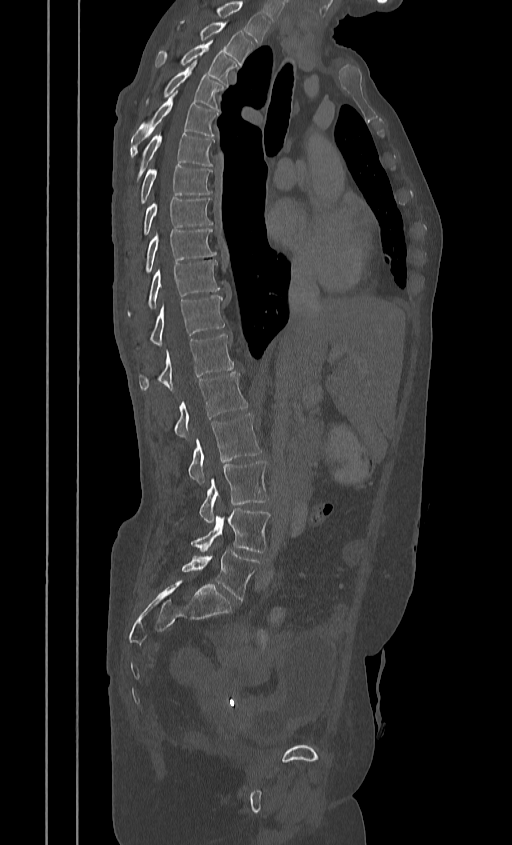
CT, spine — sagittal view — image width 384 mm — Bone window (WL 400, WW 1800)
Each box given as x1,y1,x2,y2.
This scan's labels start at T2 at the top and end at L5 at the bottom.
Vertebra bounding boxes:
- T2: x1=176, y1=20, x2=255, y2=66
- T3: x1=156, y1=43, x2=237, y2=86
- T4: x1=144, y1=64, x2=225, y2=110
- T5: x1=130, y1=92, x2=219, y2=156
- T6: x1=133, y1=133, x2=213, y2=183
- T7: x1=138, y1=165, x2=212, y2=204
- T8: x1=126, y1=197, x2=213, y2=256
- T9: x1=133, y1=229, x2=216, y2=284
- T10: x1=126, y1=260, x2=219, y2=318
- T11: x1=134, y1=295, x2=225, y2=350
- T12: x1=138, y1=335, x2=233, y2=390
- L1: x1=173, y1=372, x2=248, y2=438
- L2: x1=188, y1=413, x2=261, y2=483
- L3: x1=198, y1=461, x2=269, y2=522
- L4: x1=190, y1=508, x2=271, y2=552
- L5: x1=181, y1=549, x2=260, y2=600